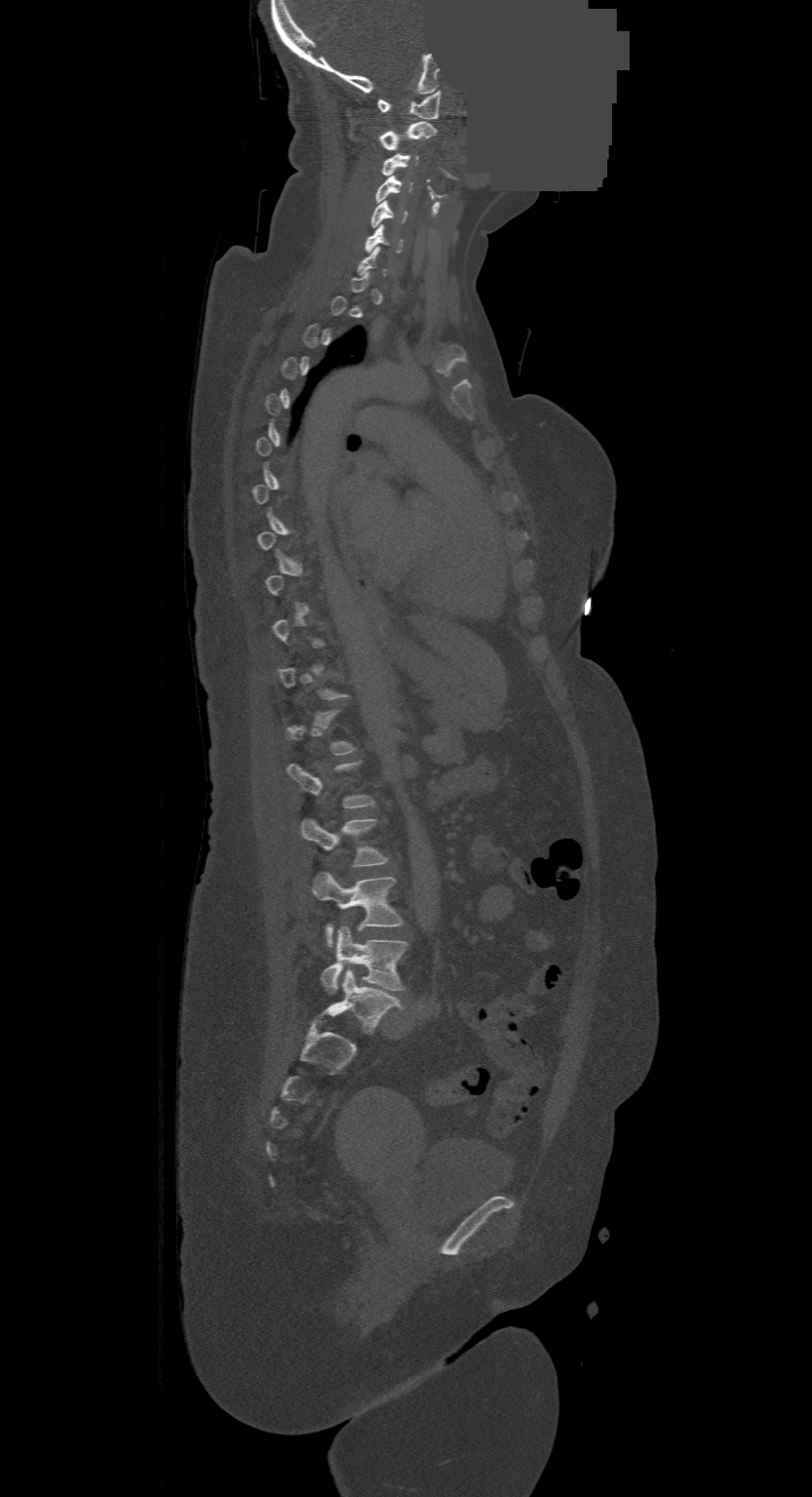

CT · sagittal view · Bone window (WL 400, WW 1800) · 812x1497 px · part of the image has been replaced by a constant value

Each box given as x1,y1,x2,y2.
A vertebra gets a box only on the slices from the first to the last where its cross-section is at least a third of its largest; on a slice outside that range it gets none.
This scan's labels start at C1 at the top and end at L4 at the bottom.
| vertebra | x1 | y1 | x2 | y2 |
|---|---|---|---|---|
| L4 | 322 | 926 | 406 | 993 |
| L3 | 313 | 873 | 402 | 945 |
| L2 | 300 | 819 | 388 | 866 |
| C6 | 365 | 224 | 402 | 253 |
| C5 | 369 | 200 | 406 | 227 |
| C4 | 376 | 176 | 411 | 203 |
| C3 | 382 | 153 | 418 | 175 |
| C2 | 379 | 122 | 436 | 149 |
| C1 | 377 | 90 | 440 | 120 |